Spine CT; sagittal view; the image is 154 mm wide; 154x295 px
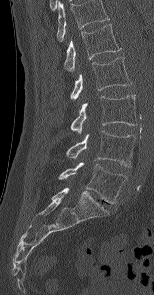 Boxes: x1 y1 x2 y2 (pixel coords, space-separated).
Labels in this scan begin with L1 at the top and end with L5 at the bottom.
L5: 59 162 127 203
L4: 66 130 135 166
L3: 71 95 137 133
L2: 70 57 131 99
L1: 64 24 121 71